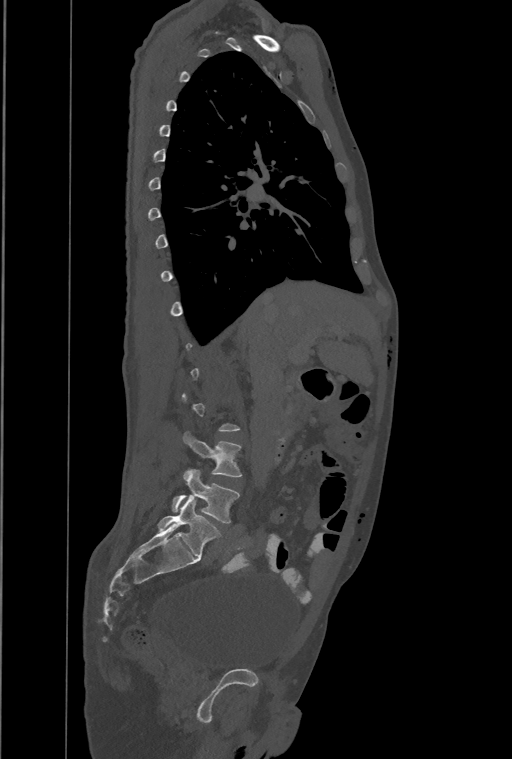
CT, spine. the image is 461 mm wide. sagittal view. 512x759 px
Each box is [x1, y1, x2, y2] in pixels: top-left corner, then bottom-right corner.
Not every vertebra on this slice has a box: a vertebra is boxed only from the first to the last slice where its cross-section is at least a third of its largest, and this slice is outside that range for at least one of them.
The highest labeled vertebra in this scan is T1; the lowest is L4.
{"vertebrae":{"L3":[183,432,241,477],"L4":[172,469,238,523]}}